CT, spine; sagittal view; W/L 1800/400 HU
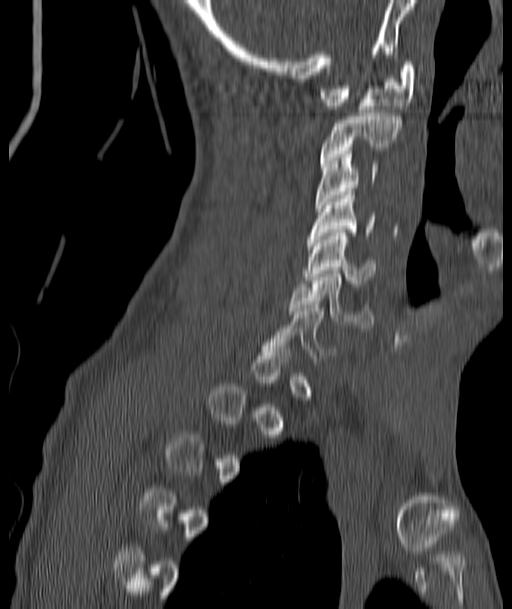 In the table, x1 and y1 are a box's top-left corner and x2 and y2 its bottom-right corner, in pixels.
A vertebra gets a box only on the slices from the first to the last where its cross-section is at least a third of its largest; on a slice outside that range it gets none.
| vertebra | x1 | y1 | x2 | y2 |
|---|---|---|---|---|
| C6 | 288 | 270 | 373 | 328 |
| C5 | 305 | 229 | 375 | 286 |
| C4 | 308 | 192 | 375 | 239 |
| C3 | 316 | 151 | 378 | 208 |
| C2 | 321 | 110 | 400 | 163 |
| C1 | 321 | 62 | 416 | 109 |